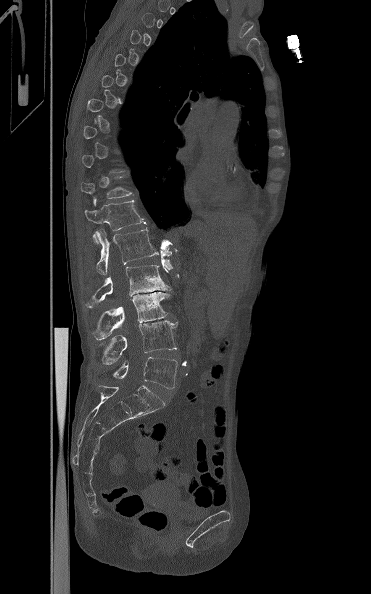
Spine CT · sagittal view · image 371 mm wide
Each vertebra maps to its box as [x1, y1, x2, y2], the pixel coordinates of its top-left and bottom-right corners.
A vertebra is boxed only from the first to the last slice where its cross-section is at least a third of its largest; slices outside that range leave it without a box.
{"vertebrae":{"T11":[81,176,132,205],"T12":[84,200,146,243],"L1":[95,227,158,274],"L2":[85,265,170,308],"L3":[91,292,169,339],"L4":[101,320,177,364],"L5":[113,357,177,389]}}